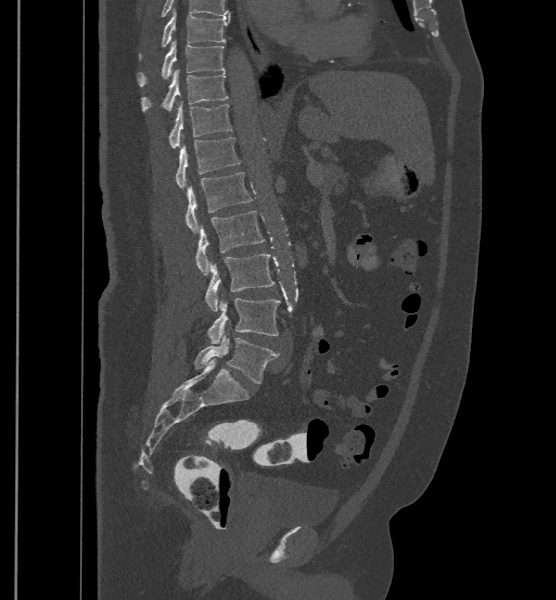

Spine computed tomography. sagittal view. Bone window (WL 400, WW 1800). the image is 500 mm wide. 556x600 px
The labels name a sixth lumbar vertebra for this spine: L6, after L5.
<vertebrae><v name="T9" x1="139" y1="9" x2="229" y2="60"/><v name="T10" x1="137" y1="41" x2="225" y2="87"/><v name="T11" x1="141" y1="69" x2="228" y2="112"/><v name="T12" x1="168" y1="102" x2="232" y2="148"/><v name="L1" x1="175" y1="137" x2="240" y2="188"/><v name="L2" x1="186" y1="172" x2="253" y2="233"/><v name="L3" x1="195" y1="211" x2="265" y2="275"/><v name="L4" x1="204" y1="253" x2="275" y2="311"/><v name="L5" x1="207" y1="298" x2="280" y2="343"/><v name="L6" x1="194" y1="334" x2="279" y2="383"/></vertebrae>